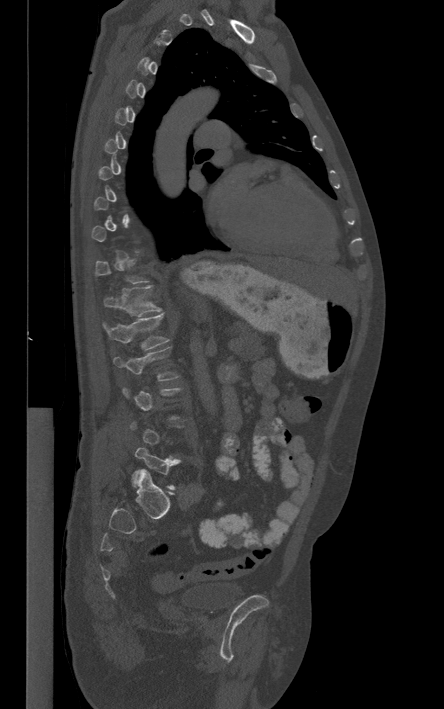 Spine computed tomography — sagittal view — 444x709 px
Boxes below are [x1, y1, x2, y2] in pixels.
A vertebra is boxed only from the first to the last slice where its cross-section is at least a third of its largest; slices outside that range leave it without a box.
{"vertebrae":{"T12":[103,286,161,316],"L1":[102,313,168,349],"L2":[114,347,179,380],"L5":[132,446,180,489]}}